Spine CT. sagittal reformat. image 377 mm wide. 9 vertebrae labeled in this scan
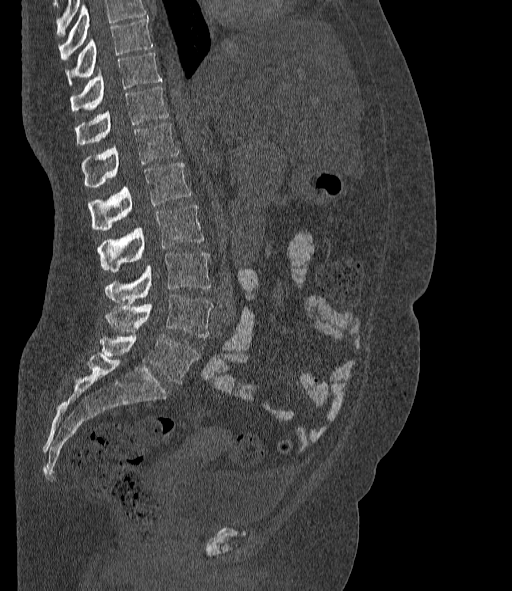
Boxes are (x1, y1, x2, y2) in pixels. A vertebra cut off by the top edge of the scan is not labeled and has no box. In these labels the spine has an L6, a sixth lumbar vertebra below L5. Vertebrae labeled: T10 at (65, 18, 152, 85), T11 at (70, 53, 162, 110), T12 at (76, 87, 169, 144), L1 at (81, 122, 178, 186), L2 at (88, 163, 190, 230), L3 at (98, 205, 204, 272), L4 at (104, 253, 211, 303), L5 at (106, 295, 213, 337), L6 at (100, 334, 198, 383).